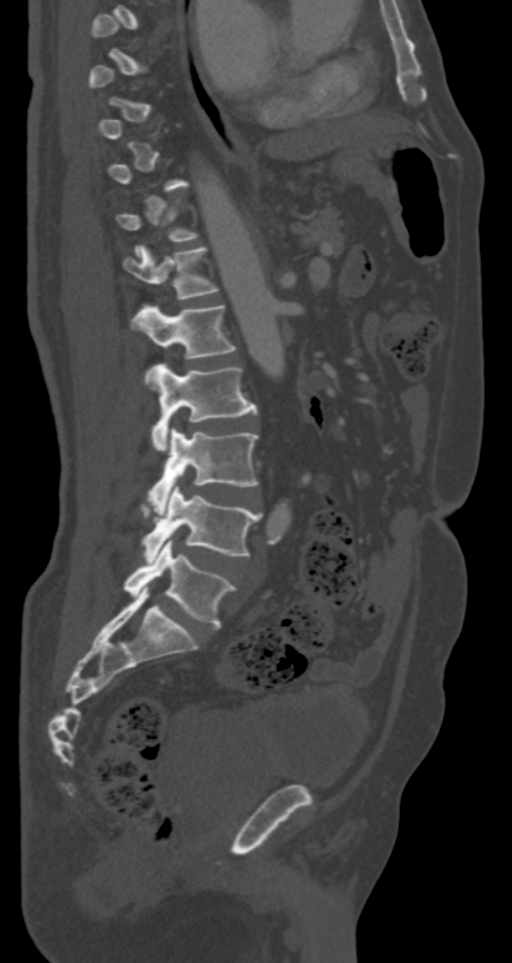 CT, spine. sagittal view. 512x963 px
Not every vertebra on this slice has a box: a vertebra is boxed only from the first to the last slice where its cross-section is at least a third of its largest, and this slice is outside that range for at least one of them.
<vertebrae><v name="L5" x1="123" y1="537" x2="236" y2="628"/><v name="L4" x1="142" y1="485" x2="261" y2="561"/><v name="L3" x1="148" y1="428" x2="259" y2="509"/><v name="L2" x1="146" y1="363" x2="257" y2="450"/><v name="L1" x1="132" y1="305" x2="236" y2="374"/><v name="T12" x1="123" y1="246" x2="218" y2="299"/></vertebrae>